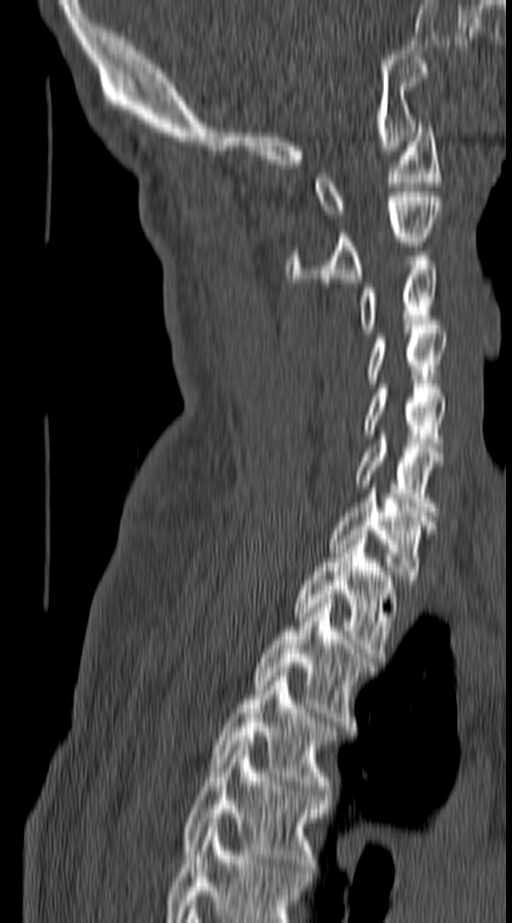

Spine computed tomography. sagittal view. bone window. Boxes are (x1, y1, x2, y2) in pixels.
In this scan, the topmost labeled vertebra is C1 and the lowest is T4.
C1: (316, 123, 440, 218)
C2: (287, 192, 441, 282)
C3: (360, 256, 438, 333)
C4: (367, 329, 447, 383)
C5: (363, 384, 447, 452)
C6: (356, 434, 444, 511)
C7: (330, 489, 436, 584)
T1: (294, 535, 396, 657)
T2: (254, 599, 375, 726)
T3: (210, 672, 337, 794)
T4: (181, 741, 329, 872)